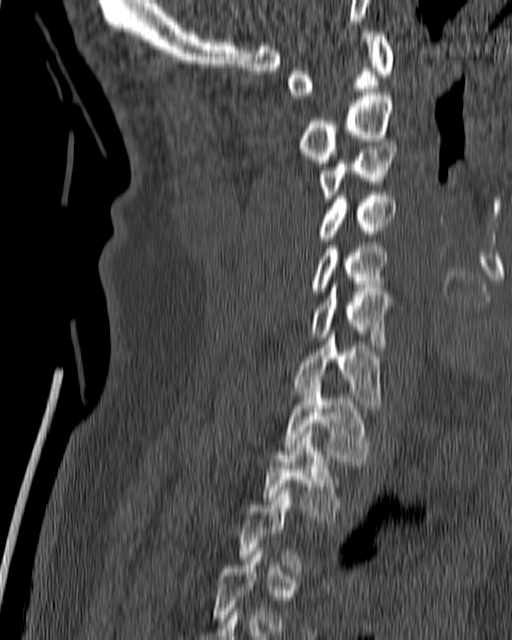 Computed tomography of the spine · sagittal view · bone-window reconstruction · 512x640 px
Box edges are left/top/right/bottom in pixels. A vertebra is boxed only from the first to the last slice where its cross-section is at least a third of its largest; slices outside that range leave it without a box. 9 vertebrae labeled — C1 at left=287, top=32, right=393, bottom=99; C2 at left=300, top=92, right=392, bottom=163; C3 at left=319, top=146, right=397, bottom=202; C4 at left=317, top=192, right=395, bottom=241; C5 at left=311, top=245, right=387, bottom=294; C6 at left=311, top=284, right=393, bottom=347; C7 at left=291, top=334, right=381, bottom=408; T1 at left=283, top=380, right=370, bottom=465; T2 at left=262, top=430, right=341, bottom=522.